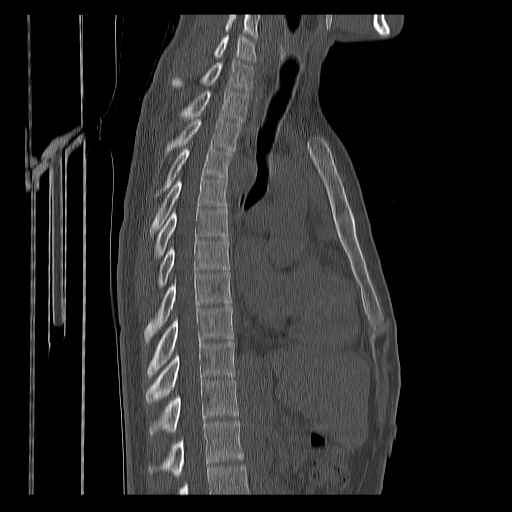 Spine computed tomography. sagittal view. 400 mm image width. 512x512 px

Box values are [left, top, right, bottom] in pixels.
No box is given to a vertebra that the bottom edge of the scan cuts off.
Labels in this scan begin with C7 at the top and end with T12 at the bottom.
{"vertebrae":{"T12":[149,421,244,475],"T11":[150,379,239,436],"T10":[146,341,235,405],"T9":[147,305,233,375],"T8":[145,272,231,340],"T7":[158,240,230,287],"T6":[155,206,227,256],"T5":[150,176,227,236],"T4":[155,147,232,196],"T3":[165,118,241,154],"T2":[178,90,249,121],"T1":[172,59,253,90],"C7":[214,35,255,61]}}